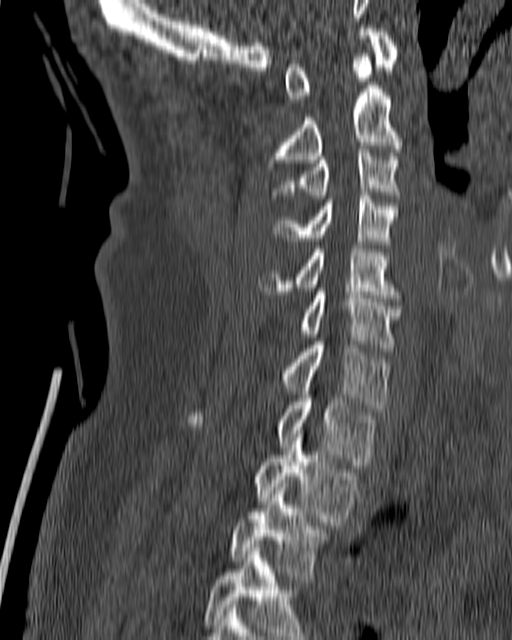 Computed tomography of the spine. sagittal reformat. bone window

<vertebrae><v name="T4" x1="204" y1="544" x2="310" y2="639"/><v name="T3" x1="231" y1="484" x2="324" y2="575"/><v name="T2" x1="257" y1="430" x2="355" y2="525"/><v name="T1" x1="189" y1="391" x2="375" y2="465"/><v name="C7" x1="283" y1="341" x2="390" y2="411"/><v name="C6" x1="299" y1="288" x2="401" y2="347"/><v name="C5" x1="258" y1="245" x2="402" y2="301"/><v name="C4" x1="274" y1="192" x2="398" y2="244"/><v name="C3" x1="271" y1="149" x2="400" y2="198"/><v name="C2" x1="267" y1="53" x2="401" y2="173"/><v name="C1" x1="285" y1="25" x2="397" y2="102"/></vertebrae>